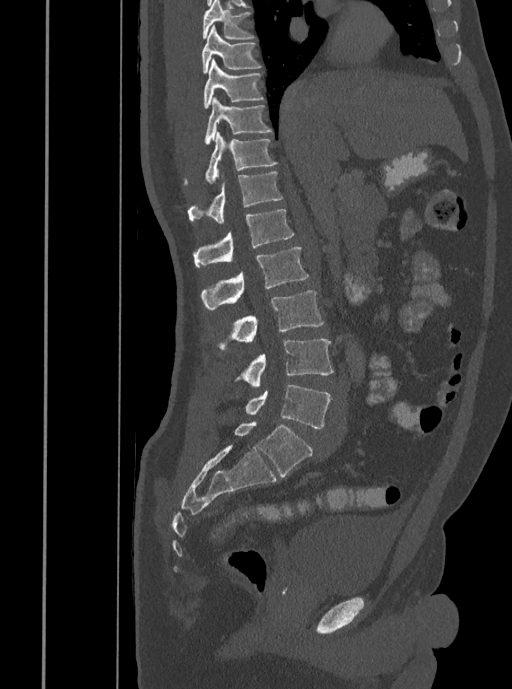 CT spine — 408 mm wide — sagittal reformat — W/L 1800/400 HU — 512x689 px

Each vertebra maps to its box as [x1, y1, x2, y2], the pixel coordinates of its top-left and bottom-right corners.
{"vertebrae":{"T7":[202,0,255,40],"T8":[202,25,261,74],"T9":[203,59,264,109],"T10":[204,97,272,144],"T11":[184,132,277,185],"T12":[187,172,282,223],"L1":[192,209,294,267],"L2":[201,247,309,310],"L3":[218,290,324,349],"L4":[236,339,333,386],"L5":[246,384,331,428]}}